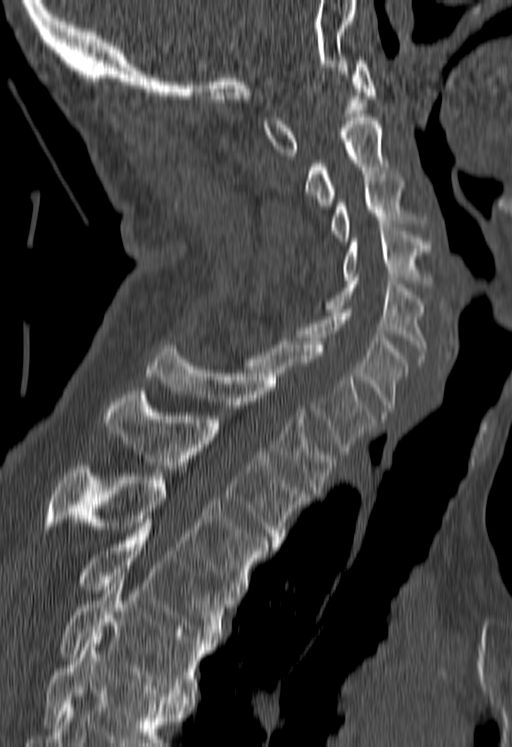 Computed tomography of the spine — sagittal view — W/L 1800/400 HU — 512x747 px
Boxes: x1:y1:x2:y2 in pixels.
A vertebra cut off by the bottom edge of the scan is not labeled and has no box.
C1: 263:57:375:155
C2: 305:114:387:205
C3: 331:174:412:241
C4: 342:228:429:287
C5: 325:277:427:362
C6: 297:309:407:415
C7: 246:338:375:454
T1: 146:345:336:493
T2: 103:391:307:547
T3: 44:466:267:596
T4: 78:523:230:646
T5: 61:572:210:699